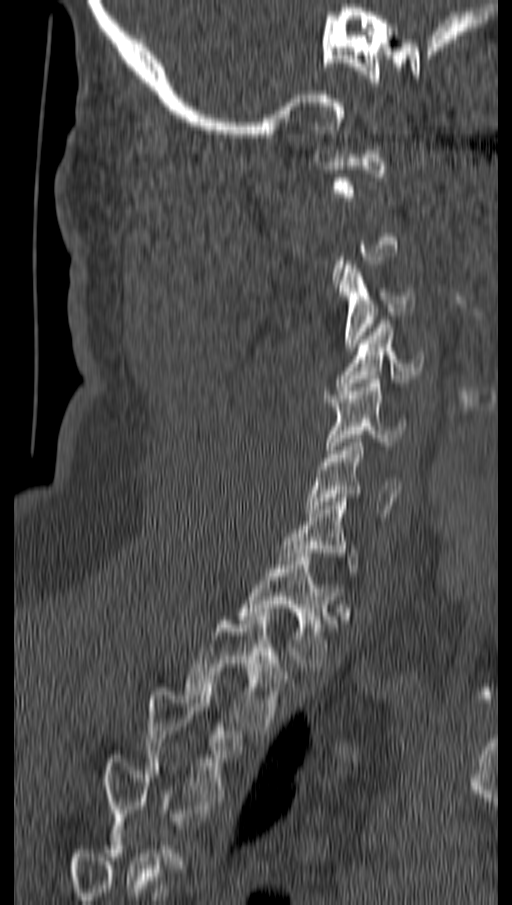 CT spine; sagittal view; bone window

Each vertebra maps to its box as [x1, y1, x2, y2], the pixel coordinates of its top-left and bottom-right corners.
A vertebra is boxed only from the first to the last slice where its cross-section is at least a third of its largest; slices outside that range leave it without a box.
{"vertebrae":{"C3":[339,261,414,351],"C4":[336,320,423,390],"C5":[326,379,405,453],"C6":[304,439,400,513],"T1":[238,557,335,667],"T2":[187,616,291,730],"T3":[146,687,237,801]}}